Spine CT · sagittal reformat
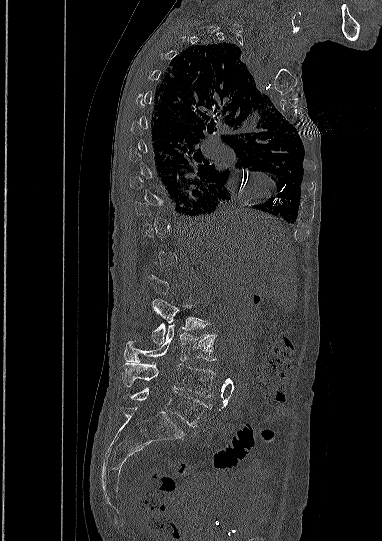
Boxes: x1:y1:x2:y2 in pixels. Not every vertebra on this slice has a box: a vertebra is boxed only from the first to the last slice where its cross-section is at least a third of its largest, and this slice is outside that range for at least one of them. 4 vertebrae labeled — L2 at 152:299:206:344; L3 at 124:324:215:362; L4 at 122:361:215:397; L5 at 124:387:212:426.